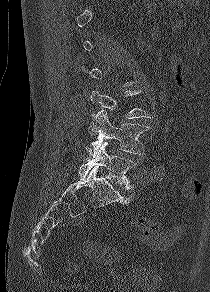 CT. sagittal view
Boxes: x1:y1:x2:y2 in pixels.
A vertebra is boxed only from the first to the last slice where its cross-section is at least a third of its largest; slices outside that range leave it without a box.
L3: 90:90:152:118
L4: 85:110:148:158
L5: 79:142:135:189